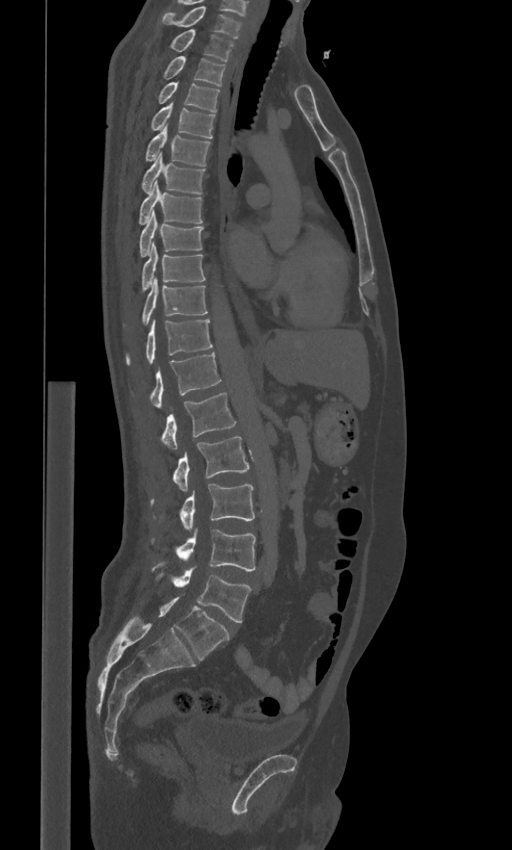 CT spine. sagittal view. bone window
Boxes are (x1, y1, x2, y2) in pixels.
In these labels the spine has an L6, a sixth lumbar vertebra below L5.
L6: (158, 597, 229, 660)
L5: (151, 562, 251, 622)
L4: (152, 528, 255, 570)
L3: (150, 484, 254, 529)
L2: (172, 436, 249, 491)
L1: (161, 392, 236, 450)
T12: (149, 352, 221, 409)
T11: (126, 319, 213, 364)
T10: (141, 279, 207, 325)
T9: (141, 243, 205, 291)
T8: (139, 212, 203, 257)
T7: (139, 181, 202, 224)
T6: (141, 153, 205, 194)
T5: (144, 124, 210, 165)
T4: (149, 103, 215, 138)
T3: (157, 82, 220, 111)
T2: (163, 56, 225, 86)
T1: (170, 29, 234, 60)
C7: (162, 6, 242, 39)